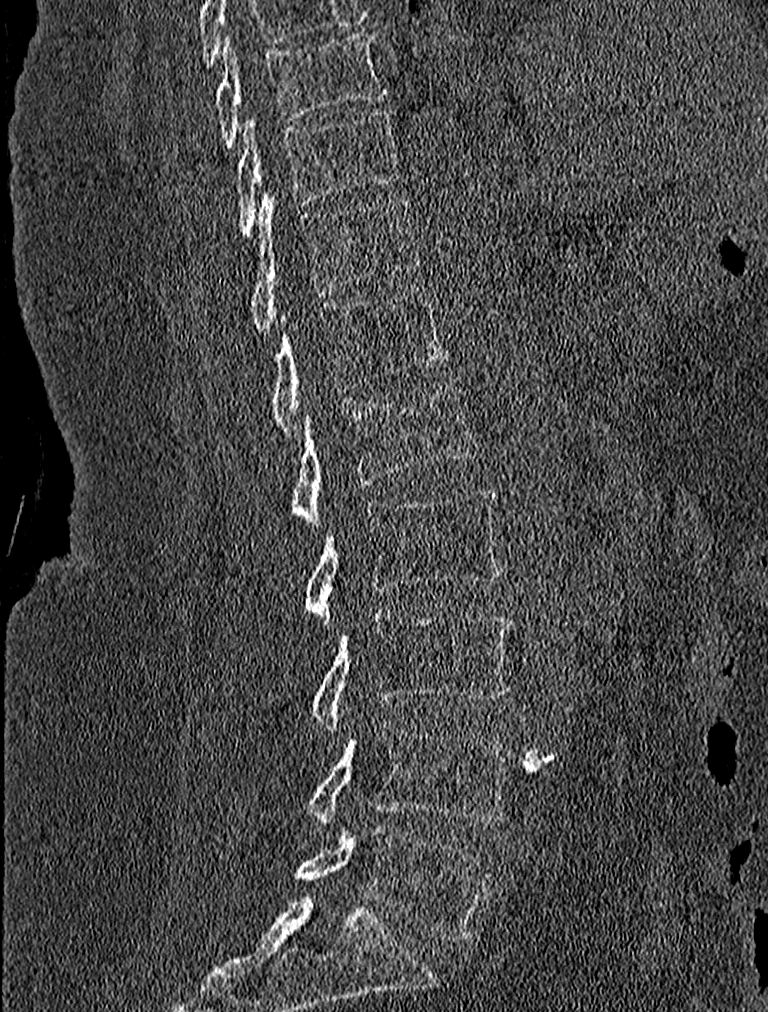 CT. sagittal view. bone-window reconstruction. 768x1012 px. image width 227 mm. Boxes are (x1, y1, x2, y2) in pixels.
Vertebra bounding boxes:
- T9: (215, 30, 387, 148)
- T10: (236, 111, 404, 237)
- T11: (249, 193, 417, 334)
- T12: (269, 288, 448, 437)
- L1: (290, 376, 478, 526)
- L2: (303, 487, 502, 617)
- L3: (310, 611, 515, 731)
- L4: (307, 719, 513, 830)
- L5: (293, 824, 495, 941)